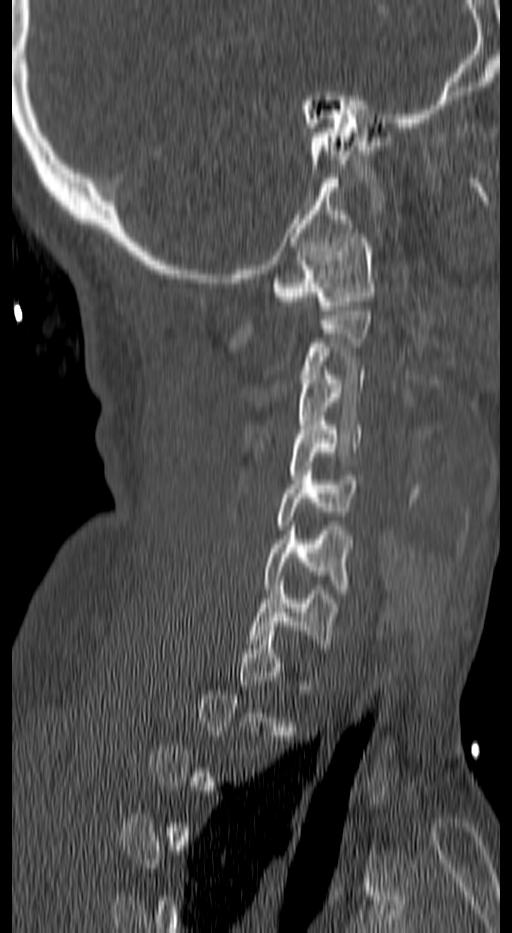 Computed tomography of the spine · image width 140 mm · sagittal view · bone window · 512x933 px

Not every vertebra on this slice has a box: a vertebra is boxed only from the first to the last slice where its cross-section is at least a third of its largest, and this slice is outside that range for at least one of them.
<vertebrae><v name="C1" x1="272" y1="233" x2="373" y2="314"/><v name="C3" x1="298" y1="370" x2="362" y2="438"/><v name="C4" x1="290" y1="421" x2="362" y2="479"/><v name="C5" x1="276" y1="471" x2="359" y2="529"/><v name="C6" x1="265" y1="526" x2="351" y2="593"/><v name="C7" x1="250" y1="581" x2="340" y2="648"/></vertebrae>